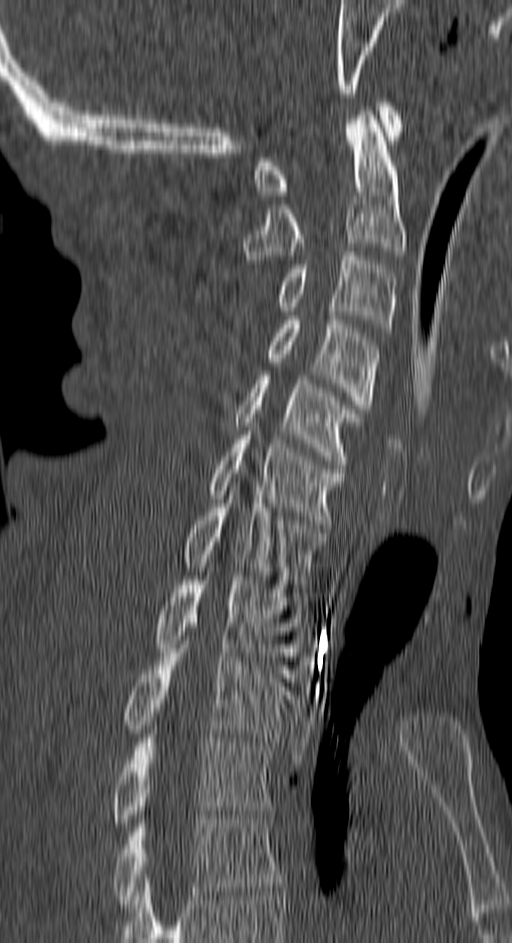
CT. sagittal view. 512x943 px

Bounding boxes as [x1, y1, x2, y2] in pixel coordinates.
T4: [114, 815, 280, 908]
T3: [114, 730, 273, 827]
T2: [124, 640, 288, 741]
T1: [155, 576, 303, 669]
C7: [182, 495, 324, 588]
C6: [209, 435, 345, 524]
C5: [237, 371, 362, 464]
C4: [267, 316, 379, 413]
C3: [278, 252, 396, 332]
C2: [244, 111, 406, 264]
C1: [254, 98, 403, 195]